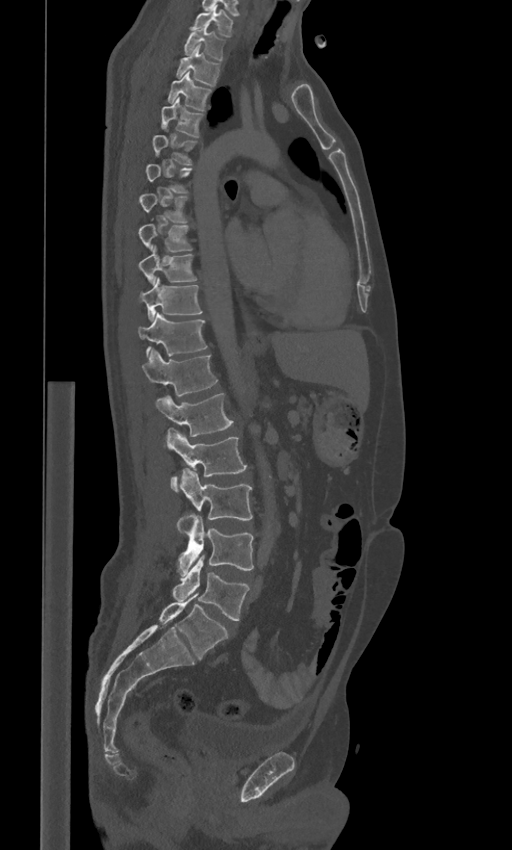 Spine computed tomography — sagittal view — 512x850 px
Boxes are (x1, y1, x2, y2) in pixels.
A vertebra is boxed only from the first to the last slice where its cross-section is at least a third of its largest; slices outside that range leave it without a box.
The labels name a sixth lumbar vertebra for this spine: L6, after L5.
L6: (159, 594, 228, 658)
L5: (172, 558, 249, 620)
L4: (178, 515, 253, 575)
L3: (178, 469, 252, 533)
L2: (165, 428, 246, 489)
L1: (155, 393, 232, 436)
T12: (142, 348, 217, 395)
T11: (137, 312, 207, 357)
T10: (140, 278, 202, 320)
T9: (139, 245, 197, 283)
T8: (137, 224, 191, 252)
T4: (161, 98, 202, 137)
T3: (168, 71, 210, 110)
T2: (177, 44, 220, 86)
T1: (184, 27, 224, 60)
C7: (191, 6, 232, 36)